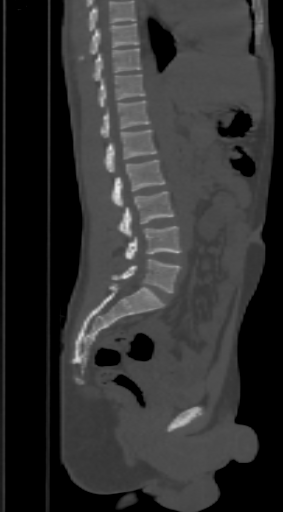 Spine CT · sagittal view · bone window. Boxes are given in columns x1, y1, x2, y2, the pixel coordinates of their top-left and bottom-right corners.
A vertebra cut off by the top edge of the scan is not labeled and has no box.
| vertebra | x1 | y1 | x2 | y2 |
|---|---|---|---|---|
| T9 | 78 | 23 | 139 | 60 |
| T10 | 92 | 48 | 142 | 80 |
| T11 | 98 | 74 | 145 | 107 |
| T12 | 101 | 101 | 150 | 138 |
| L1 | 104 | 129 | 156 | 172 |
| L2 | 112 | 159 | 164 | 207 |
| L3 | 118 | 191 | 173 | 238 |
| L4 | 126 | 226 | 181 | 259 |
| L5 | 112 | 259 | 181 | 293 |